Spine CT; Sagittal slice 217/391; 391 mm image width
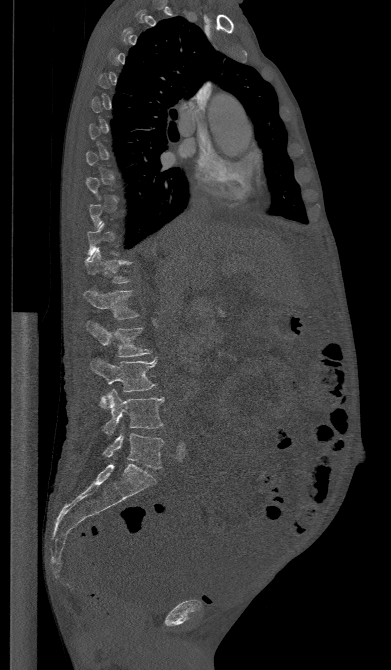
Each vertebra maps to its box as [x1, y1, x2, y2], the pixel coordinates of its top-left and bottom-right corners.
Each vertebra is boxed only on the slices from the first to the last where its cross-section reaches a third of its largest, so a slice outside that range leaves it unboxed.
{"vertebrae":{"L5":[103,428,164,468],"L4":[101,389,164,434],"L3":[90,357,157,408],"L2":[87,321,150,357],"L1":[84,290,138,319],"T12":[85,249,131,283]}}